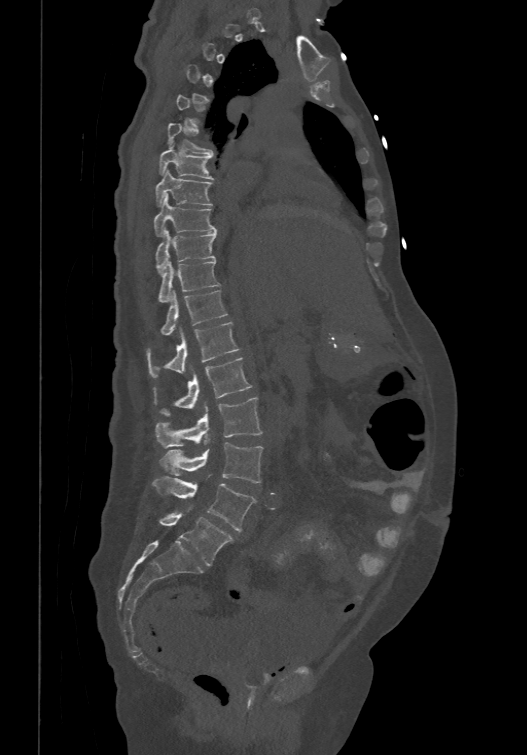 CT spine; sagittal view; W/L 1800/400 HU. Box edges are left/top/right/bottom in pixels.
A vertebra is boxed only from the first to the last slice where its cross-section is at least a third of its largest; slices outside that range leave it without a box.
In these labels the spine has an L6, a sixth lumbar vertebra below L5.
Vertebra bounding boxes:
- T6: left=168, top=122, right=213, bottom=155
- T7: left=158, top=143, right=213, bottom=179
- T8: left=155, top=168, right=212, bottom=204
- T9: left=153, top=194, right=217, bottom=234
- T10: left=155, top=227, right=217, bottom=272
- T11: left=157, top=258, right=220, bottom=301
- T12: left=160, top=290, right=226, bottom=334
- L1: left=147, top=321, right=239, bottom=377
- L2: left=153, top=356, right=252, bottom=415
- L3: left=155, top=397, right=262, bottom=447
- L4: left=158, top=443, right=262, bottom=483
- L5: left=152, top=477, right=255, bottom=531
- L6: left=159, top=512, right=234, bottom=565